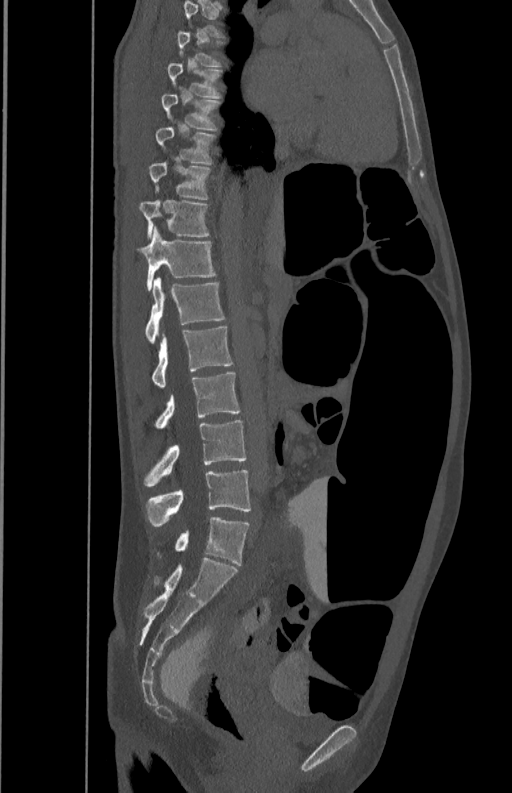
Spine CT. 350 mm across the image. sagittal view. bone window
A vertebra gets a box only on the slices from the first to the last where its cross-section is at least a third of its largest; on a slice outside that range it gets none.
<vertebrae><v name="T7" x1="167" y1="63" x2="220" y2="96"/><v name="T8" x1="161" y1="93" x2="220" y2="131"/><v name="T9" x1="155" y1="126" x2="214" y2="164"/><v name="T10" x1="148" y1="162" x2="209" y2="199"/><v name="T11" x1="139" y1="200" x2="209" y2="237"/><v name="T12" x1="137" y1="226" x2="215" y2="290"/><v name="L1" x1="145" y1="278" x2="226" y2="343"/><v name="L2" x1="152" y1="327" x2="233" y2="387"/><v name="L3" x1="155" y1="371" x2="240" y2="428"/><v name="L4" x1="145" y1="420" x2="246" y2="486"/><v name="L5" x1="146" y1="469" x2="250" y2="527"/></vertebrae>